Computed tomography of the spine; sagittal reformat; W/L 1800/400 HU; 512x905 px
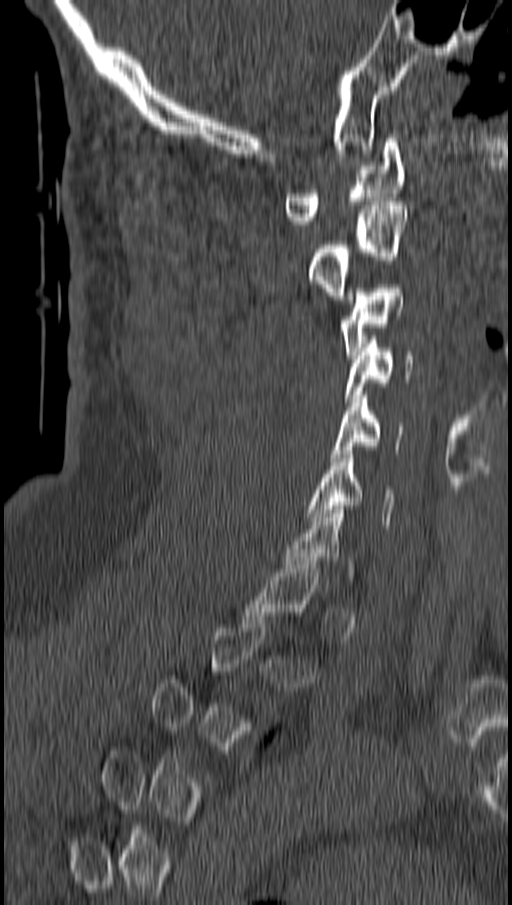

Boxes are (x1, y1, x2, y2) in pixels.
A vertebra is boxed only from the first to the last slice where its cross-section is at least a third of its largest; slices outside that range leave it without a box.
Vertebra bounding boxes:
- C1: (286, 138, 405, 224)
- C2: (308, 201, 408, 299)
- C3: (339, 280, 402, 359)
- C4: (346, 336, 414, 402)
- C5: (330, 391, 401, 461)
- C6: (308, 450, 392, 528)